CT. sagittal reformat. 16 vertebrae labeled in this scan
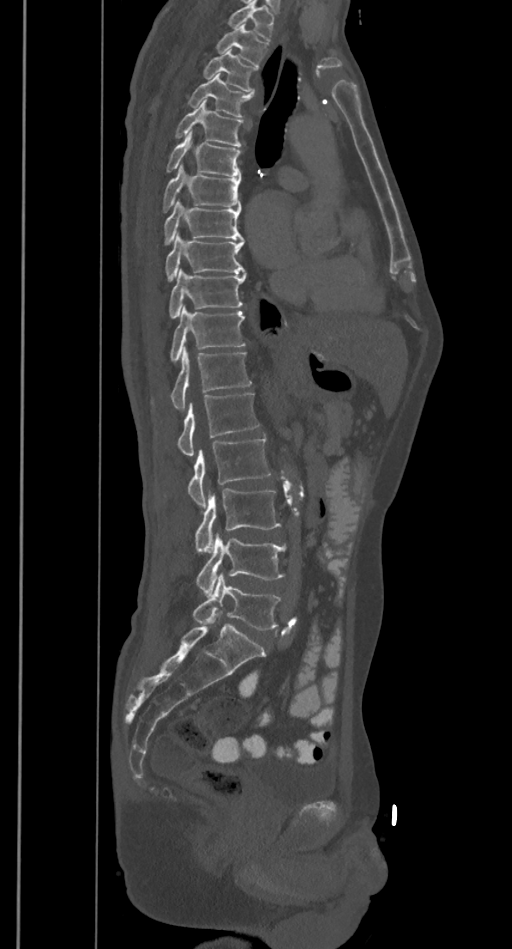

Box edges are left/top/right/bottom in pixels.
Vertebrae that run past the top of the scan are left unlabeled.
| vertebra | x1 | y1 | x2 | y2 |
|---|---|---|---|---|
| T2 | 217 | 25 | 267 | 65 |
| T3 | 203 | 50 | 257 | 91 |
| T4 | 189 | 74 | 252 | 116 |
| T5 | 175 | 101 | 242 | 146 |
| T6 | 166 | 132 | 241 | 177 |
| T7 | 163 | 164 | 242 | 211 |
| T8 | 163 | 200 | 241 | 244 |
| T9 | 165 | 232 | 245 | 280 |
| T10 | 169 | 268 | 246 | 317 |
| T11 | 170 | 305 | 245 | 360 |
| T12 | 170 | 348 | 252 | 410 |
| L1 | 178 | 394 | 259 | 456 |
| L2 | 187 | 437 | 270 | 506 |
| L3 | 195 | 490 | 281 | 551 |
| L4 | 197 | 533 | 286 | 596 |
| L5 | 193 | 573 | 281 | 629 |